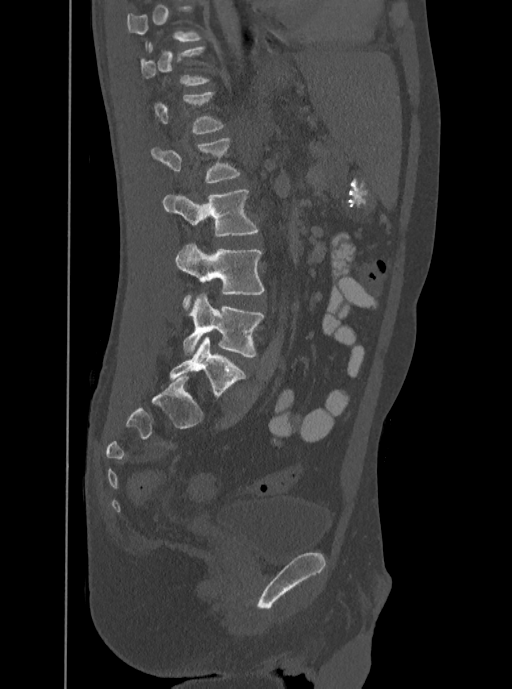

CT spine. sagittal view
Each vertebra is boxed only on the slices from the first to the last where its cross-section reaches a third of its largest, so a slice outside that range leaves it unboxed.
<vertebrae><v name="L2" x1="150" y1="137" x2="240" y2="183"/><v name="L3" x1="162" y1="190" x2="258" y2="236"/><v name="L4" x1="175" y1="242" x2="264" y2="308"/><v name="L5" x1="183" y1="294" x2="264" y2="357"/></vertebrae>